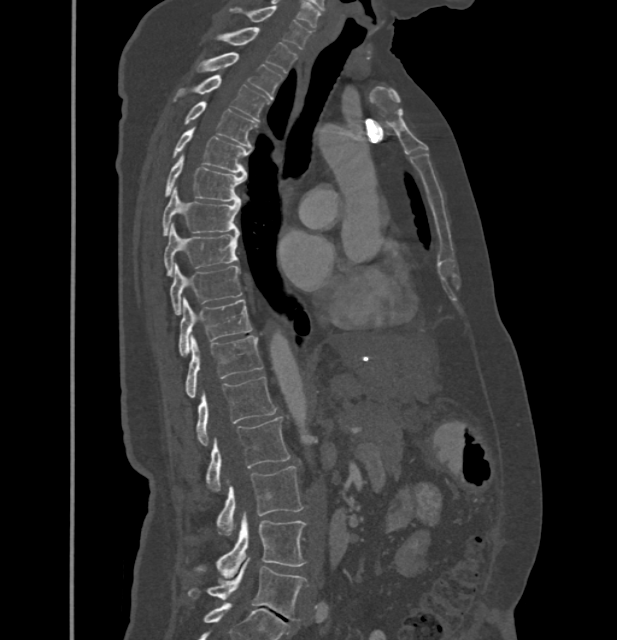

Spine CT; sagittal view; W/L 1800/400 HU; 617x640 px
Boxes below are [x1, y1, x2, y2] in pixels.
These labels give this spine no T12: after T11 the next vertebra is L1.
{"vertebrae":{"C7":[231,6,310,49],"T1":[218,27,298,72],"T2":[196,52,282,98],"T3":[174,75,269,121],"T4":[184,102,257,146],"T5":[171,129,249,172],"T6":[164,156,245,202],"T7":[163,189,240,235],"T8":[164,225,238,275],"T9":[170,265,241,315],"T10":[178,297,252,356],"T11":[186,336,263,398],"L1":[195,376,276,445],"L2":[206,416,288,491],"L3":[216,466,303,535],"L4":[194,515,305,576],"L5":[188,559,306,621]}}